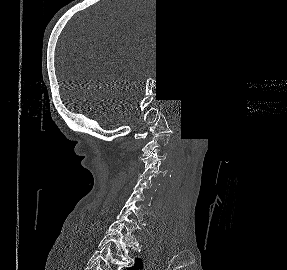

CT. sagittal reformat. bone-window reconstruction. 287x270 px. the image is 287 mm wide. an area of the scan was removed and filled with constant pixels
<vertebrae><v name="T2" x1="98" y1="227" x2="140" y2="265"/><v name="T1" x1="106" y1="211" x2="141" y2="247"/><v name="C7" x1="116" y1="197" x2="147" y2="225"/><v name="C6" x1="126" y1="188" x2="152" y2="209"/><v name="C5" x1="133" y1="174" x2="159" y2="191"/><v name="C4" x1="138" y1="161" x2="167" y2="178"/><v name="C3" x1="139" y1="149" x2="166" y2="167"/><v name="C2" x1="142" y1="134" x2="169" y2="156"/><v name="C1" x1="134" y1="112" x2="172" y2="138"/></vertebrae>